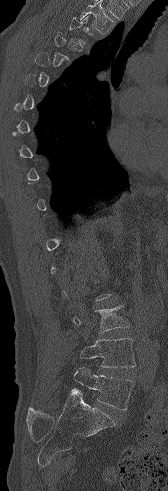
Spine computed tomography. sagittal view. bone-window reconstruction. 168x491 px
Boxes are (x1, y1, x2, y2) in pixels.
Each vertebra is boxed only on the slices from the first to the last where its cross-section reaches a third of its largest, so a slice outside that range leaves it unboxed.
Vertebra bounding boxes:
- L3: (73, 304, 129, 332)
- L4: (80, 338, 135, 367)
- L5: (74, 368, 134, 410)